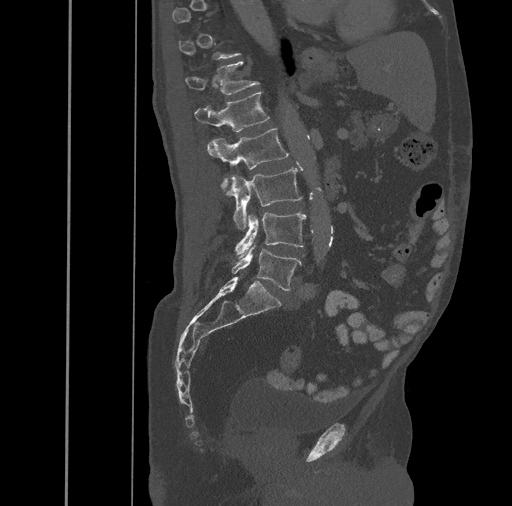

CT. sagittal view. 512x506 px
Boxes: x1 y1 x2 y2 (pixel coords, space-separated).
A vertebra is boxed only from the first to the last slice where its cross-section is at least a third of its largest; slices outside that range leave it without a box.
Vertebra bounding boxes:
- T12: 184 61 259 95
- L1: 195 92 269 132
- L2: 207 128 288 190
- L3: 226 168 302 228
- L4: 235 213 306 257
- L5: 232 245 302 291